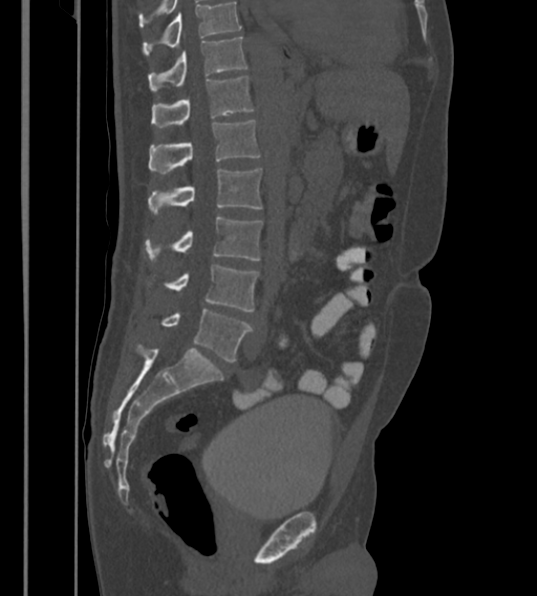 Spine computed tomography · sagittal reformat · 537x596 px
Boxes: x1 y1 x2 y2 (pixel coords, space-separated). The highest labeled vertebra in this scan is T12; the lowest is L6. These labels give the spine a sixth lumbar vertebra, L6, below L5. 7 vertebrae labeled — T12 at 149 36 247 90; L1 at 151 76 254 128; L2 at 149 120 260 174; L3 at 148 169 261 215; L4 at 145 216 262 263; L5 at 148 265 259 311; L6 at 162 309 252 361.